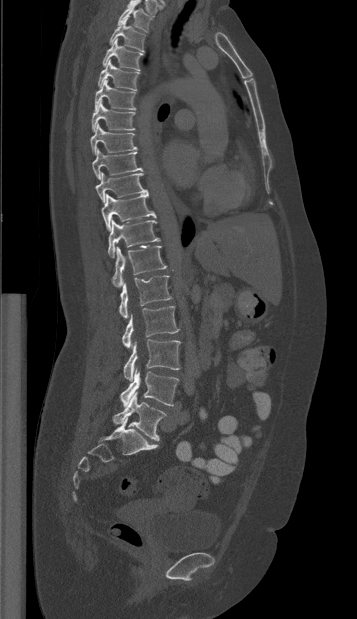

CT, spine. sagittal view. 357x619 px. Box edges are left/top/right/bottom in pixels. 17 vertebrae labeled — T1 at left=117, top=3, right=151, bottom=32; T2 at left=109, top=18, right=145, bottom=52; T3 at left=102, top=38, right=142, bottom=70; T4 at left=98, top=60, right=139, bottom=90; T5 at left=94, top=78, right=136, bottom=109; T6 at left=91, top=99, right=135, bottom=131; T7 at left=90, top=124, right=136, bottom=154; T8 at left=92, top=148, right=143, bottom=179; T9 at left=95, top=172, right=147, bottom=202; T10 at left=101, top=193, right=156, bottom=230; T11 at left=108, top=219, right=159, bottom=257; T12 at left=112, top=245, right=168, bottom=287; L1 at left=118, top=276, right=171, bottom=318; L2 at left=122, top=306, right=179, bottom=348; L3 at left=123, top=339, right=180, bottom=380; L4 at left=120, top=368, right=178, bottom=406; L5 at left=112, top=392, right=166, bottom=440.